CT spine; sagittal view; 340 mm wide; scan covers 8 annotated vertebrae
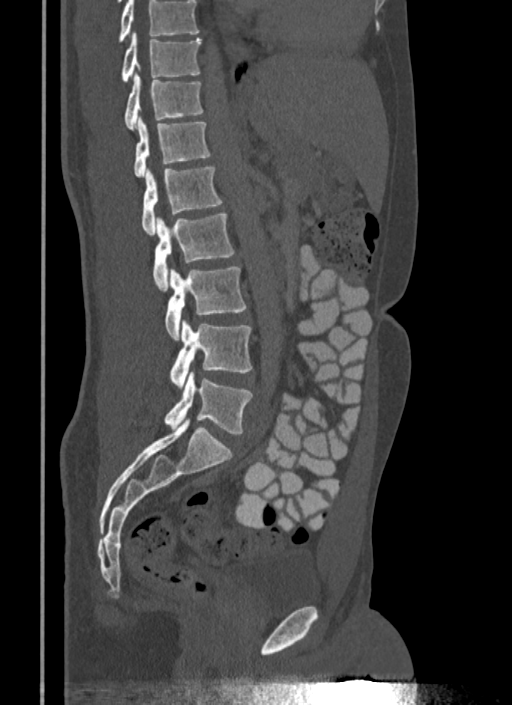 Where the top of the scan cuts through a vertebra, that vertebra gets no label or box.
<vertebrae><v name="T10" x1="122" y1="32" x2="201" y2="82"/><v name="T11" x1="125" y1="72" x2="202" y2="130"/><v name="T12" x1="134" y1="116" x2="211" y2="177"/><v name="L1" x1="141" y1="166" x2="222" y2="235"/><v name="L2" x1="153" y1="212" x2="234" y2="290"/><v name="L3" x1="165" y1="267" x2="246" y2="339"/><v name="L4" x1="170" y1="319" x2="252" y2="388"/><v name="L5" x1="164" y1="372" x2="252" y2="434"/></vertebrae>